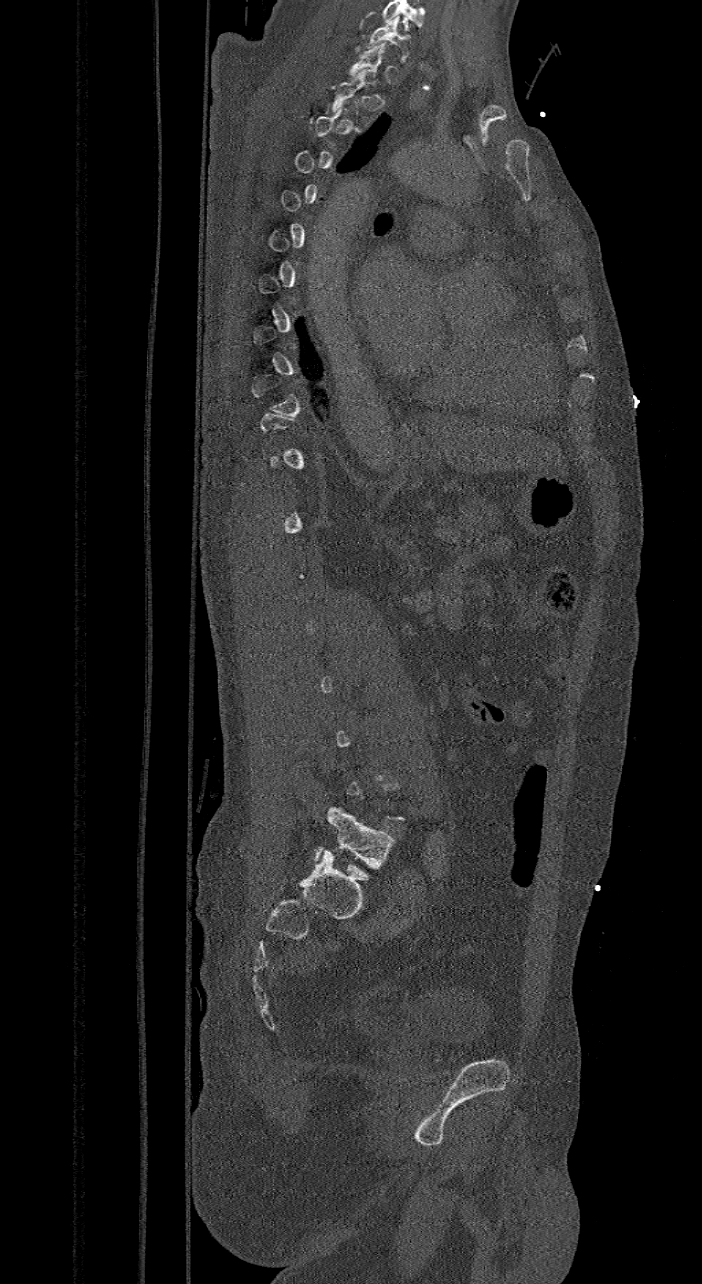 Spine CT — sagittal view
Each vertebra is boxed only on the slices from the first to the last where its cross-section reaches a third of its largest, so a slice outside that range leaves it unboxed.
This scan's labels start at C7 at the top and end at L6 at the bottom.
The labels name a sixth lumbar vertebra for this spine: L6, after L5.
<vertebrae><v name="C7" x1="366" y1="18" x2="410" y2="62"/><v name="L6" x1="311" y1="808" x2="394" y2="877"/></vertebrae>